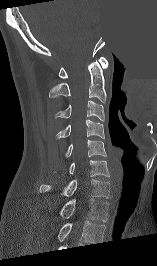

CT spine; sagittal view; bone-window reconstruction; 157x266 px; some of the image was removed or blocked out with constant pixels

Boxes: x1 y1 x2 y2 (pixel coords, space-separated).
Labels in this scan begin with C1 at the top and end with T1 at the bottom.
Vertebra bounding boxes:
- C1: 59 56 108 78
- C2: 49 61 106 102
- C3: 54 100 104 121
- C4: 55 119 104 139
- C5: 65 139 106 157
- C6: 69 160 109 176
- C7: 39 179 109 198
- T1: 59 199 108 221